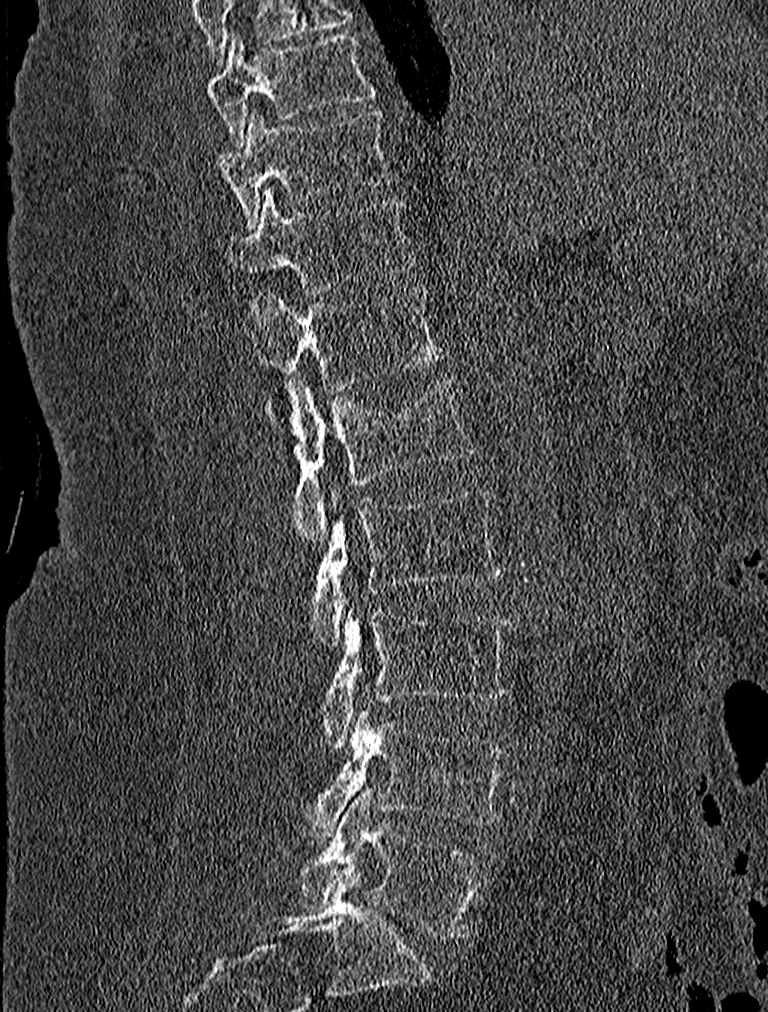 Spine computed tomography; sagittal view; the image spans 227 mm across; 768x1012 px
Boxes: x1 y1 x2 y2 (pixel coords, space-separated).
L5: 300 790 485 938
L4: 299 713 507 839
L3: 320 611 512 748
L2: 310 487 502 648
L1: 264 376 475 544
T12: 252 288 444 392
T11: 227 190 411 290
T10: 219 108 394 226
T9: 209 30 377 148